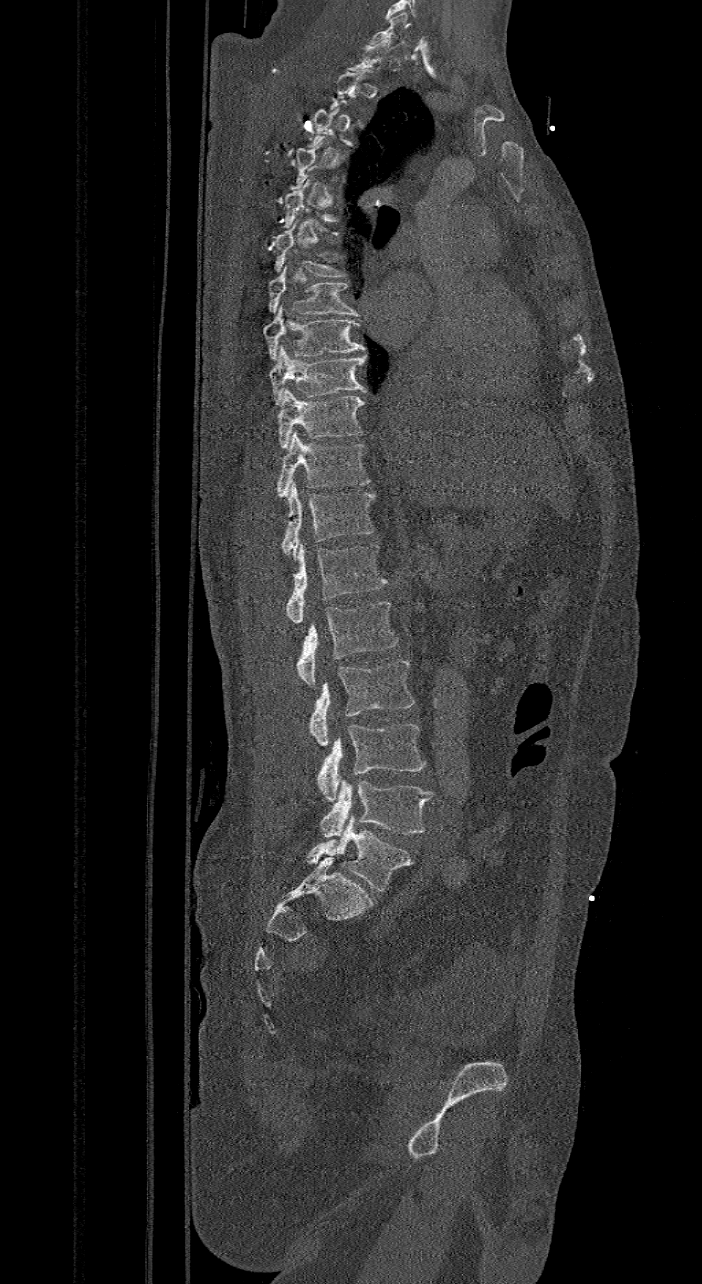 Spine computed tomography · sagittal view · bone window
A vertebra gets a box only on the slices from the first to the last where its cross-section is at least a third of its largest; on a slice outside that range it gets none.
These labels give the spine a sixth lumbar vertebra, L6, below L5.
<vertebrae><v name="C7" x1="369" y1="12" x2="407" y2="45"/><v name="T6" x1="274" y1="223" x2="346" y2="277"/><v name="T7" x1="269" y1="266" x2="361" y2="315"/><v name="T8" x1="263" y1="305" x2="364" y2="360"/><v name="T9" x1="269" y1="345" x2="366" y2="404"/><v name="T10" x1="278" y1="389" x2="364" y2="448"/><v name="T11" x1="277" y1="430" x2="369" y2="496"/><v name="T12" x1="281" y1="482" x2="375" y2="559"/><v name="L1" x1="286" y1="543" x2="387" y2="622"/><v name="L2" x1="296" y1="600" x2="398" y2="688"/><v name="L3" x1="310" y1="661" x2="414" y2="747"/><v name="L4" x1="317" y1="724" x2="425" y2="801"/><v name="L5" x1="319" y1="779" x2="432" y2="837"/><v name="L6" x1="307" y1="816" x2="414" y2="892"/></vertebrae>